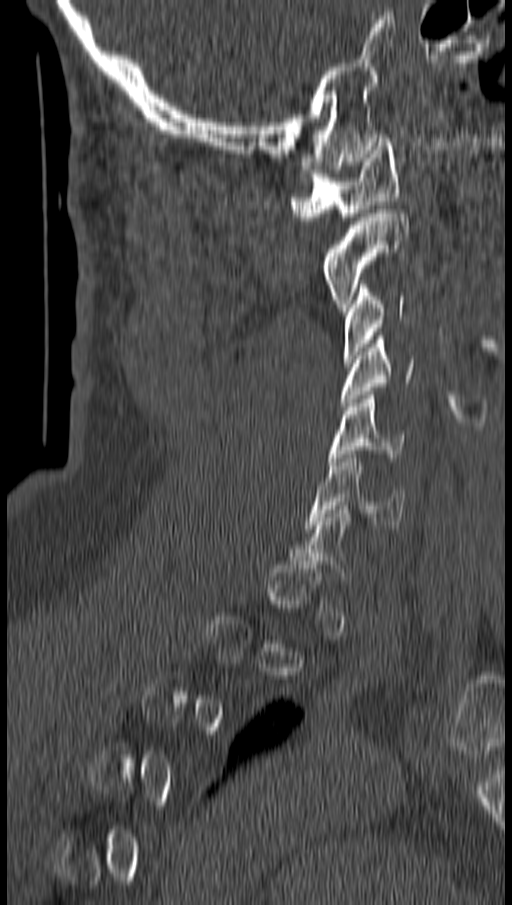

Spine CT. sagittal view. bone-window reconstruction. 512x905 px. Each box given as x1,y1,x2,y2.
A vertebra gets a box only on the slices from the first to the last where its cross-section is at least a third of its largest; on a slice outside that range it gets none.
C1: x1=289, y1=138, x2=398, y2=220
C2: x1=323, y1=209, x2=408, y2=311
C3: x1=342, y1=280, x2=405, y2=362
C4: x1=342, y1=336, x2=414, y2=406
C5: x1=330, y1=391, x2=406, y2=465
C6: x1=308, y1=454, x2=406, y2=528